CT spine. sagittal view. W/L 1800/400 HU
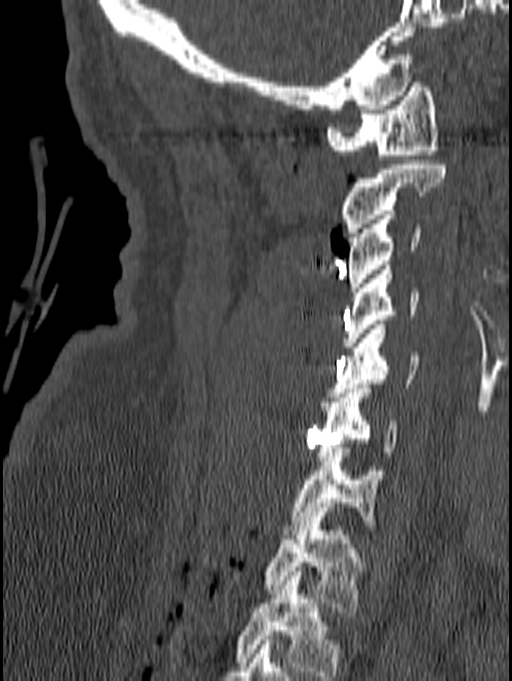
Box edges are left/top/right/bottom in pixels.
Labels in this scan begin with C1 at the top and end with T1 at the bottom.
C1: left=325, top=78, right=439, bottom=159
C2: left=341, top=160, right=446, bottom=237
C3: left=348, top=210, right=419, bottom=292
C4: left=341, top=265, right=418, bottom=346
C5: left=329, top=325, right=421, bottom=397
C6: left=316, top=384, right=399, bottom=461
C7: left=283, top=448, right=388, bottom=534
T1: left=264, top=517, right=364, bottom=612